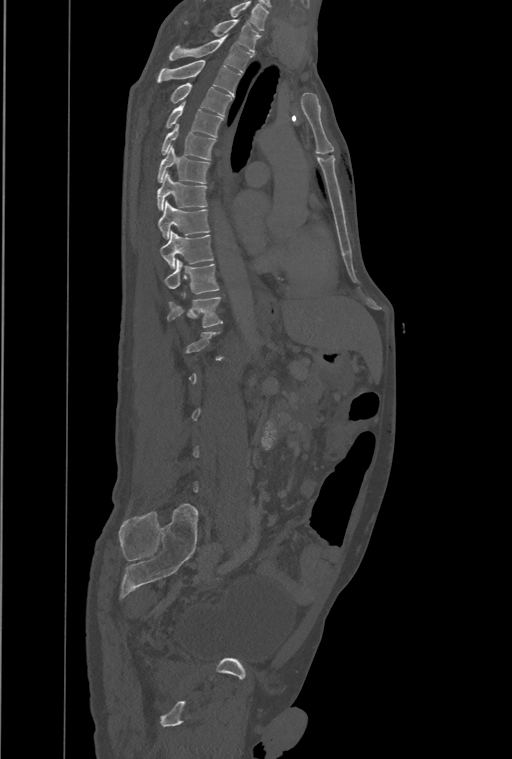 CT, spine; sagittal view; bone window; 461 mm image width; 512x759 px
Boxes: x1 y1 x2 y2 (pixel coords, space-separated).
A vertebra is boxed only from the first to the last slice where its cross-section is at least a third of its largest; slices outside that range leave it without a box.
Labels in this scan begin with T1 at the top and end with L4 at the bottom.
Vertebra bounding boxes:
- T12: 167 292 223 327
- T11: 165 259 219 294
- T10: 160 231 213 268
- T9: 158 201 210 239
- T8: 157 174 207 210
- T7: 157 147 210 183
- T6: 162 125 216 159
- T5: 166 101 223 137
- T4: 170 82 231 116
- T3: 157 60 239 95
- T2: 170 35 253 73
- T1: 213 19 260 53